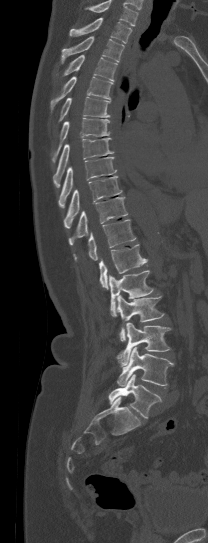 Computed tomography of the spine · sagittal view
Box values are [left, top, right, bottom] in pixels.
Where the top of the scan cuts through a vertebra, that vertebra gets no label or box.
{"vertebrae":{"L5":[108,374,162,418],"L4":[117,347,174,386],"L3":[116,322,171,366],"L2":[117,296,164,340],"L1":[109,270,153,316],"T12":[99,244,147,289],"T11":[73,219,135,260],"T10":[68,197,127,245],"T9":[64,176,121,228],"T8":[58,157,116,207],"T7":[53,138,114,187],"T6":[51,118,111,162],"T5":[58,96,111,121],"T4":[51,76,112,109],"T3":[63,55,116,81],"T2":[61,36,124,64],"T1":[69,17,132,43]}}